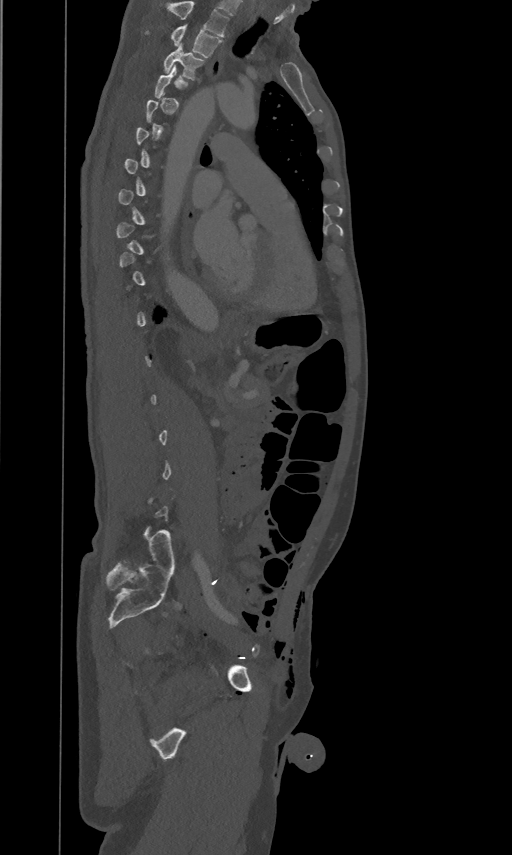

Spine CT — sagittal reformat — W/L 1800/400 HU
Boxes are given in columns x1, y1, x2, y2, the pixel coordinates of their top-left and bottom-right corners.
A vertebra is boxed only from the first to the last slice where its cross-section is at least a third of its largest; slices outside that range leave it without a box.
The highest labeled vertebra in this scan is T2; the lowest is L5.
| vertebra | x1 | y1 | x2 | y2 |
|---|---|---|---|---|
| T3 | 163 | 44 | 204 | 79 |
| T2 | 144 | 24 | 222 | 57 |